Spine CT; sagittal plane, index 44; Bone window (WL 400, WW 1800); 191x489 px
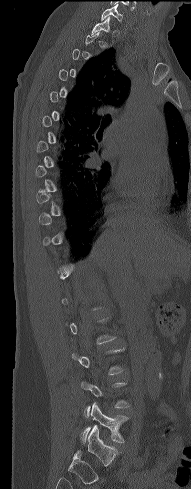

Each vertebra is boxed only on the slices from the first to the last where its cross-section reaches a third of its largest, so a slice outside that range leaves it unboxed.
<vertebrae><v name="C7" x1="100" y1="4" x2="123" y2="23"/><v name="T1" x1="91" y1="16" x2="110" y2="35"/><v name="L4" x1="81" y1="381" x2="131" y2="417"/><v name="L5" x1="83" y1="403" x2="130" y2="443"/></vertebrae>